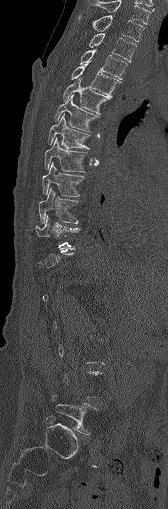

Spine CT · sagittal reformat · bone-window reconstruction · 168 mm across the image · 168x509 px
Bounding boxes as [x1, y1, x2, y2] in pixel coordinates. A vertebra is boxed only from the first to the last slice where its cross-section is at least a third of its largest; slices outside that range leave it without a box. 13 vertebrae labeled — L5 at [52, 395, 97, 434]; T11 at [35, 215, 81, 251]; T10 at [38, 187, 78, 222]; T9 at [42, 162, 84, 196]; T8 at [44, 137, 87, 172]; T7 at [47, 114, 89, 148]; T6 at [54, 95, 99, 131]; T5 at [63, 79, 109, 114]; T4 at [71, 64, 118, 98]; T3 at [80, 50, 127, 79]; T2 at [88, 33, 136, 61]; T1 at [78, 15, 143, 41]; C7 at [88, 0, 150, 24].